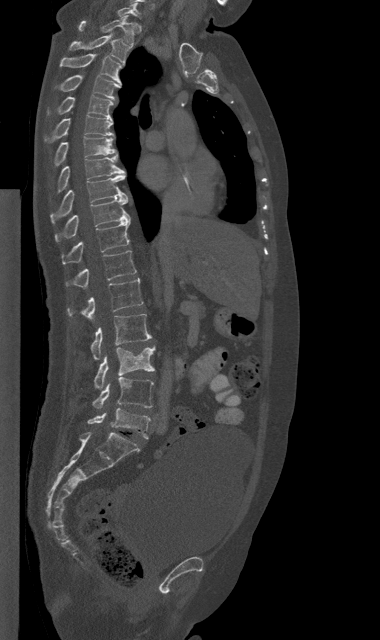
CT, spine — sagittal view
Boxes are (x1, y1, x2, y2) in pixels.
C7: (118, 3, 140, 16)
T1: (78, 15, 137, 44)
T2: (68, 34, 129, 65)
T3: (59, 54, 121, 84)
T4: (58, 75, 121, 99)
T5: (48, 95, 112, 118)
T6: (43, 116, 113, 142)
T7: (54, 136, 117, 166)
T8: (57, 157, 124, 192)
T9: (50, 174, 127, 222)
T10: (55, 198, 130, 241)
T11: (62, 220, 130, 263)
T12: (66, 251, 136, 288)
L1: (67, 279, 143, 319)
L2: (90, 314, 151, 359)
L3: (94, 346, 154, 389)
L4: (93, 377, 153, 408)
L5: (88, 408, 150, 438)